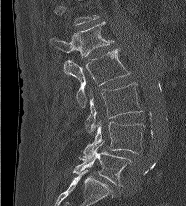
Computed tomography of the spine. 186 mm image width. sagittal view
In the table, x1 and y1 are a box's top-left corner and x2 and y2 its bottom-right corner, in pixels.
The highest labeled vertebra in this scan is L1; the lowest is L5.
| vertebra | x1 | y1 | x2 | y2 |
|---|---|---|---|---|
| L5 | 72 | 141 | 131 | 185 |
| L4 | 79 | 121 | 144 | 160 |
| L3 | 85 | 83 | 142 | 133 |
| L2 | 63 | 48 | 130 | 107 |
| L1 | 50 | 21 | 114 | 57 |